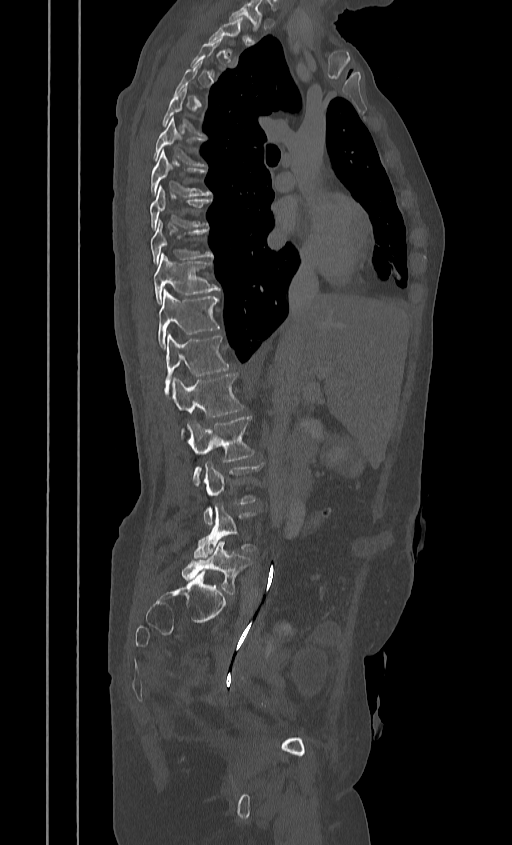 CT; sagittal view; the image spans 384 mm across. Each row gives a vertebra's box as x1, y1, x2, y2 in pixels: top-left corner, then bottom-right corner.
A vertebra gets a box only on the slices from the first to the last where its cross-section is at least a third of its largest; on a slice outside that range it gets none.
| vertebra | x1 | y1 | x2 | y2 |
|---|---|---|---|---|
| T6 | 152 | 116 | 205 | 166 |
| T7 | 150 | 151 | 211 | 196 |
| T8 | 149 | 185 | 211 | 230 |
| T9 | 150 | 220 | 212 | 264 |
| T10 | 153 | 253 | 219 | 303 |
| T11 | 158 | 289 | 219 | 347 |
| T12 | 165 | 333 | 228 | 390 |
| L1 | 170 | 373 | 243 | 416 |
| L2 | 185 | 416 | 253 | 483 |
| L3 | 202 | 461 | 263 | 524 |
| L4 | 193 | 503 | 256 | 558 |
| L5 | 181 | 540 | 251 | 594 |